Spine computed tomography. sagittal plane, index 203. the image is 371 mm wide. 371x594 px
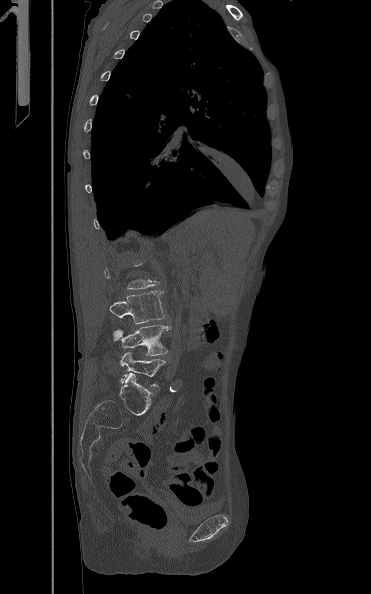
A vertebra gets a box only on the slices from the first to the last where its cross-section is at least a third of its largest; on a slice outside that range it gets none.
<vertebrae><v name="L3" x1="109" y1="290" x2="165" y2="323"/><v name="L4" x1="113" y1="325" x2="169" y2="355"/><v name="L5" x1="120" y1="351" x2="166" y2="387"/></vertebrae>